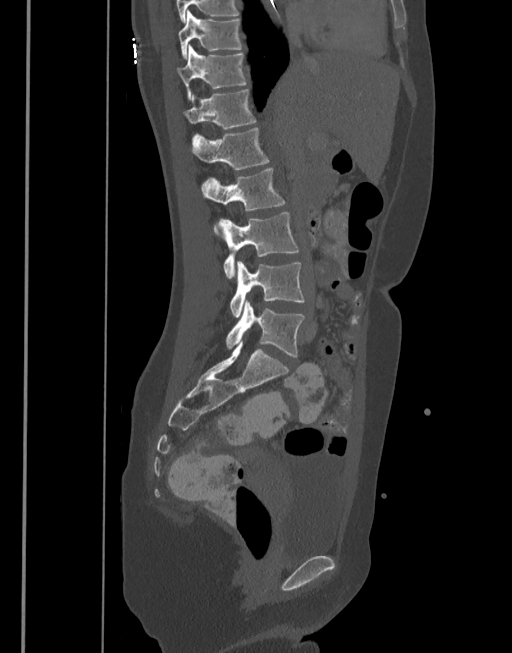
CT spine · sagittal view · W/L 1800/400 HU. Box edges are left/top/right/bottom in pixels.
| vertebra | x1 | y1 | x2 | y2 |
|---|---|---|---|---|
| L5 | 225 | 301 | 304 | 357 |
| L4 | 229 | 262 | 303 | 317 |
| L3 | 218 | 211 | 299 | 279 |
| L2 | 201 | 167 | 285 | 231 |
| L1 | 191 | 127 | 269 | 170 |
| T12 | 183 | 89 | 255 | 129 |
| T11 | 176 | 44 | 247 | 99 |
| T10 | 178 | 10 | 242 | 60 |